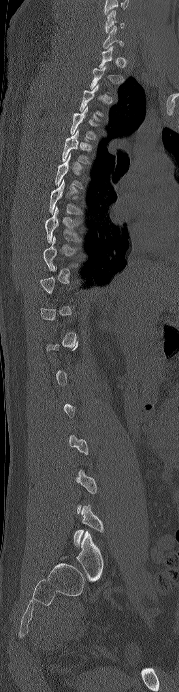

CT spine; sagittal reformat; 179x692 px
Each vertebra maps to its box as [x1, y1, x2, y2], the pixel coordinates of its top-left and bottom-right corners.
Each vertebra is boxed only on the slices from the first to the last where its cross-section reaches a third of its largest, so a slice outside that range leaves it unboxed.
The highest labeled vertebra in this scan is C6; the lowest is L5.
{"vertebrae":{"C6":[105,10,124,33],"C7":[103,25,123,48],"T5":[62,129,91,163],"T7":[49,179,82,214],"T8":[45,206,80,243]}}